Spine CT. sagittal view. 8 vertebrae labeled in this scan
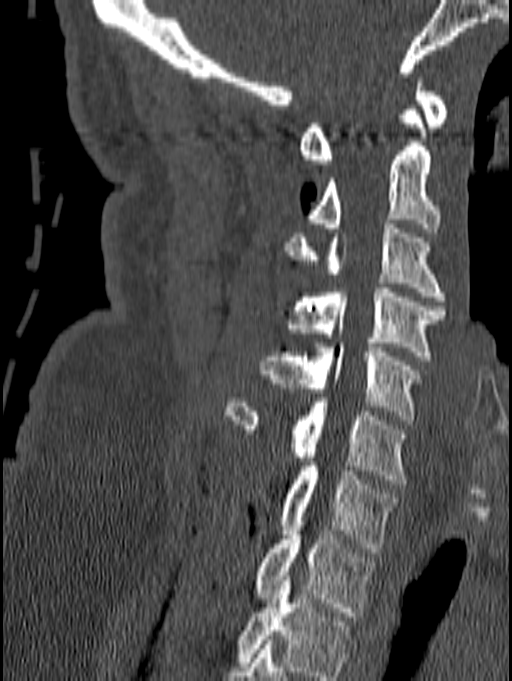 Boxes are (x1, y1, x2, y2) in pixels.
Labels in this scan begin with C1 at the top and end with T1 at the bottom.
Vertebra bounding boxes:
- T1: (254, 521, 376, 616)
- C7: (279, 462, 399, 552)
- C6: (225, 398, 406, 484)
- C5: (261, 343, 421, 424)
- C4: (286, 288, 447, 360)
- C3: (283, 219, 446, 301)
- C2: (308, 105, 440, 232)
- C1: (298, 78, 448, 164)